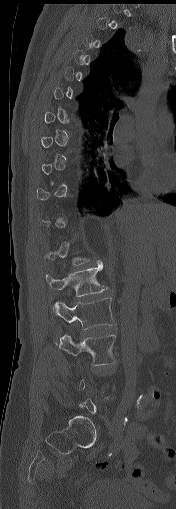

Spine computed tomography · sagittal view · bone-window reconstruction

Not every vertebra on this slice has a box: a vertebra is boxed only from the first to the last slice where its cross-section is at least a third of its largest, and this slice is outside that range for at least one of them.
<vertebrae><v name="L1" x1="46" y1="260" x2="108" y2="296"/><v name="L2" x1="53" y1="298" x2="114" y2="329"/><v name="L3" x1="55" y1="335" x2="115" y2="365"/></vertebrae>